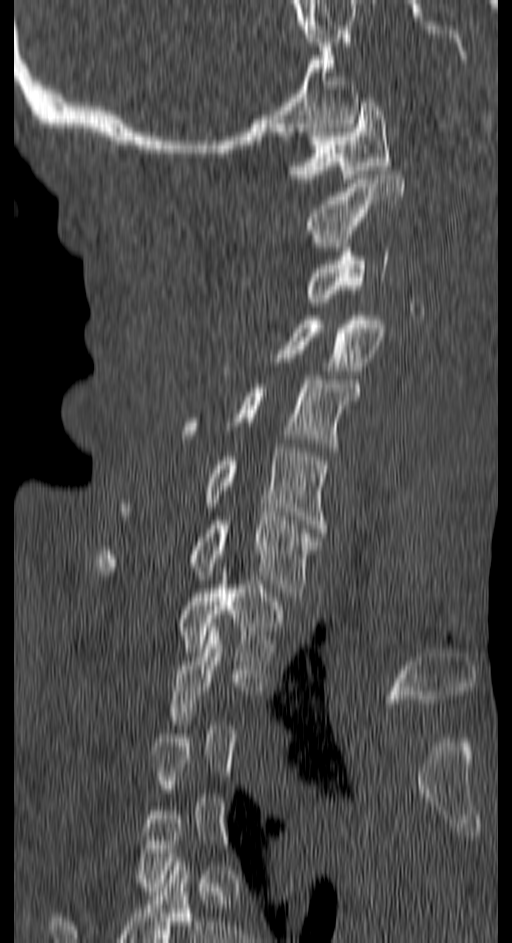
CT — sagittal view
Boxes below are [x1, y1, x2, y2] in pixels.
Not every vertebra on this slice has a box: a vertebra is boxed only from the first to the last slice where its cross-section is at least a third of its largest, and this slice is outside that range for at least one of them.
{"vertebrae":{"C1":[288,98,389,182],"C2":[305,171,403,251],"C3":[305,247,389,302],"C4":[271,316,383,370],"C5":[183,375,359,451],"C6":[121,448,328,532],"C7":[97,516,318,596],"T1":[179,576,284,665]}}